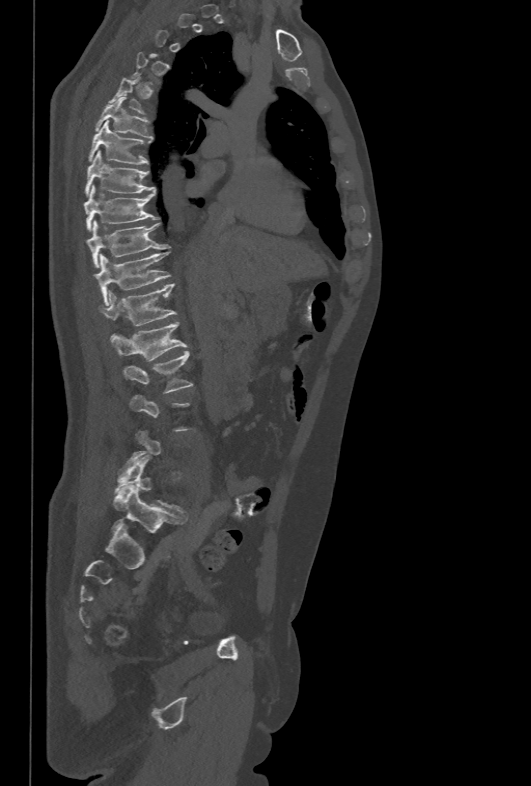
CT spine · sagittal view · W/L 1800/400 HU · 531x786 px · 478 mm wide

A vertebra is boxed only from the first to the last slice where its cross-section is at least a third of its largest; slices outside that range leave it without a box.
<vertebrae><v name="T5" x1="109" y1="75" x2="144" y2="116"/><v name="T6" x1="95" y1="97" x2="153" y2="138"/><v name="T7" x1="89" y1="120" x2="147" y2="164"/><v name="T8" x1="84" y1="150" x2="155" y2="195"/><v name="T9" x1="83" y1="185" x2="157" y2="231"/><v name="T10" x1="87" y1="220" x2="169" y2="267"/><v name="T11" x1="94" y1="252" x2="170" y2="305"/><v name="T12" x1="98" y1="284" x2="176" y2="325"/><v name="L1" x1="110" y1="322" x2="188" y2="361"/><v name="L2" x1="123" y1="350" x2="192" y2="393"/></vertebrae>